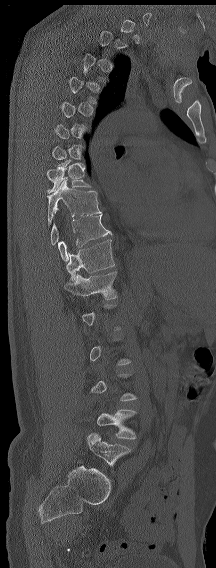
CT — sagittal view

Each vertebra is boxed only on the slices from the first to the last where its cross-section reaches a third of its largest, so a slice outside that range leaves it unboxed.
In these labels the spine has an L6, a sixth lumbar vertebra below L5.
<vertebrae><v name="T8" x1="46" y1="166" x2="92" y2="193"/><v name="T9" x1="47" y1="179" x2="102" y2="228"/><v name="T11" x1="58" y1="214" x2="112" y2="261"/><v name="T12" x1="66" y1="239" x2="114" y2="281"/><v name="L1" x1="65" y1="271" x2="117" y2="299"/><v name="L5" x1="97" y1="409" x2="136" y2="439"/><v name="L6" x1="87" y1="432" x2="131" y2="471"/></vertebrae>